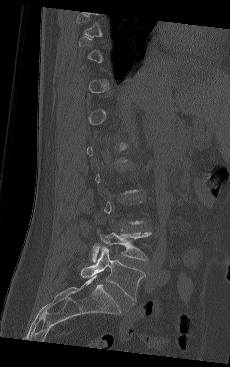

Spine CT; sagittal view; 230x367 px
A vertebra is boxed only from the first to the last slice where its cross-section is at least a third of its largest; slices outside that range leave it without a box.
<vertebrae><v name="L4" x1="92" y1="229" x2="151" y2="262"/><v name="L5" x1="80" y1="247" x2="145" y2="300"/></vertebrae>